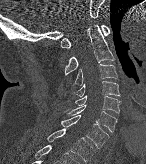
CT — sagittal view — image 146 mm wide
Boxes are (x1, y1, x2, y2) in pixels.
Vertebra bounding boxes:
- C1: (60, 25, 110, 48)
- C2: (65, 25, 114, 74)
- C3: (73, 64, 117, 85)
- C4: (74, 81, 120, 97)
- C5: (74, 94, 120, 113)
- C6: (64, 104, 117, 132)
- C7: (60, 115, 108, 148)
- T1: (47, 128, 94, 162)